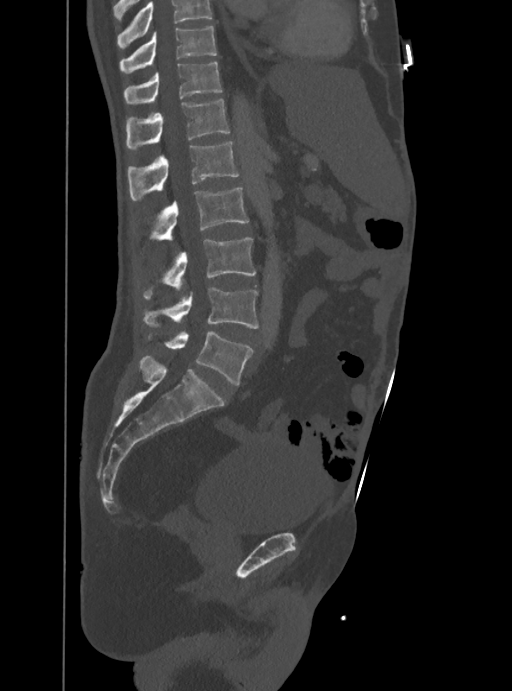 CT. sagittal view. W/L 1800/400 HU. Each box given as x1,y1,x2,y2.
A vertebra cut off by the top edge of the scan is not labeled and has no box.
| vertebra | x1 | y1 | x2 | y2 |
|---|---|---|---|---|
| T10 | 120 | 26 | 217 | 73 |
| T11 | 124 | 62 | 222 | 104 |
| T12 | 125 | 99 | 230 | 150 |
| L1 | 128 | 141 | 238 | 201 |
| L2 | 152 | 188 | 248 | 240 |
| L3 | 144 | 238 | 255 | 298 |
| L4 | 144 | 287 | 259 | 329 |
| L5 | 165 | 331 | 251 | 384 |